Spine CT — sagittal plane, index 201 — bone window — 18 vertebrae labeled in this scan
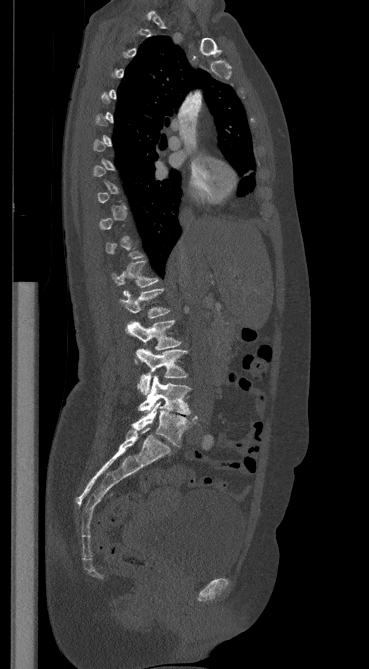
Boxes: x1:y1:x2:y2 in pixels. A vertebra is boxed only from the first to the last slice where its cross-section is at least a third of its largest; slices outside that range leave it without a box. The labeled vertebrae in this slice are: T12 at 112:261:158:295, L1 at 119:289:169:318, L2 at 126:320:181:350, L3 at 136:349:187:395, L4 at 138:375:190:414, L5 at 132:402:196:446.